CT spine. sagittal view. bone window. 512x681 px. image width 140 mm
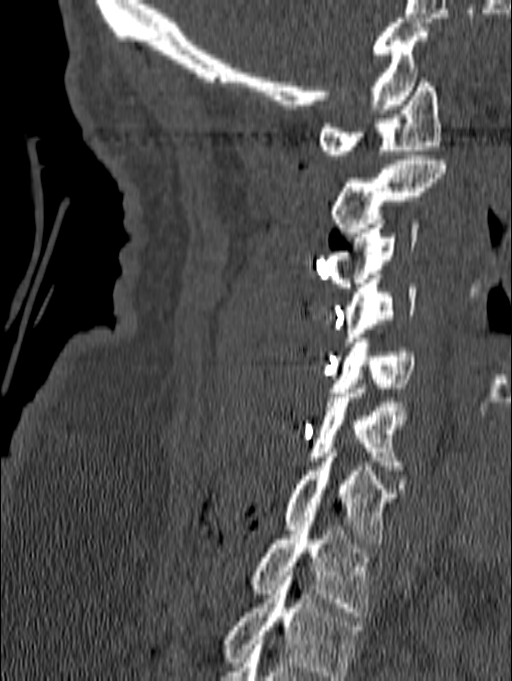

Each box is [x1, y1, x2, y2] in pixels: top-left corner, then bottom-right corner.
Labels in this scan begin with C1 at the top and end with T1 at the bottom.
{"vertebrae":{"T1":[250,521,370,616],"C7":[283,453,399,548],"C6":[307,384,411,470],"C5":[330,338,414,392],"C4":[343,279,416,346],"C3":[324,219,419,287],"C2":[330,155,446,237],"C1":[319,78,441,159]}}